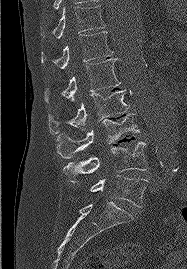
Computed tomography of the spine. sagittal view. image width 187 mm. 187x269 px. Box edges are left/top/right/bottom in pixels.
Vertebra bounding boxes:
- T11: left=41, top=5, right=105, bottom=38
- T12: left=41, top=31, right=113, bottom=68
- L1: left=44, top=58, right=120, bottom=103
- L2: left=48, top=90, right=128, bottom=134
- L3: left=56, top=114, right=139, bottom=158
- L4: left=63, top=142, right=147, bottom=182
- L5: left=89, top=175, right=147, bottom=207